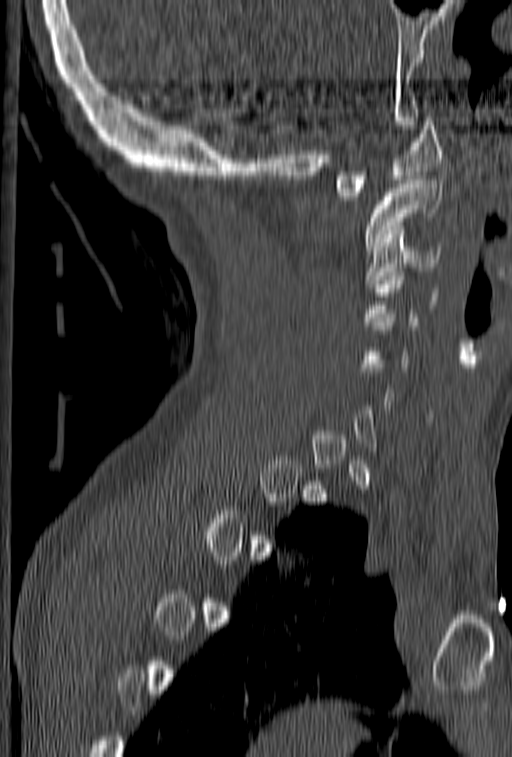

CT spine — sagittal reformat — Bone window (WL 400, WW 1800) — 512x757 px

A vertebra is boxed only from the first to the last slice where its cross-section is at least a third of its largest; slices outside that range leave it without a box.
<vertebrae><v name="C1" x1="336" y1="117" x2="442" y2="196"/><v name="C2" x1="366" y1="180" x2="442" y2="250"/><v name="C3" x1="365" y1="238" x2="439" y2="283"/><v name="C4" x1="364" y1="264" x2="438" y2="325"/></vertebrae>